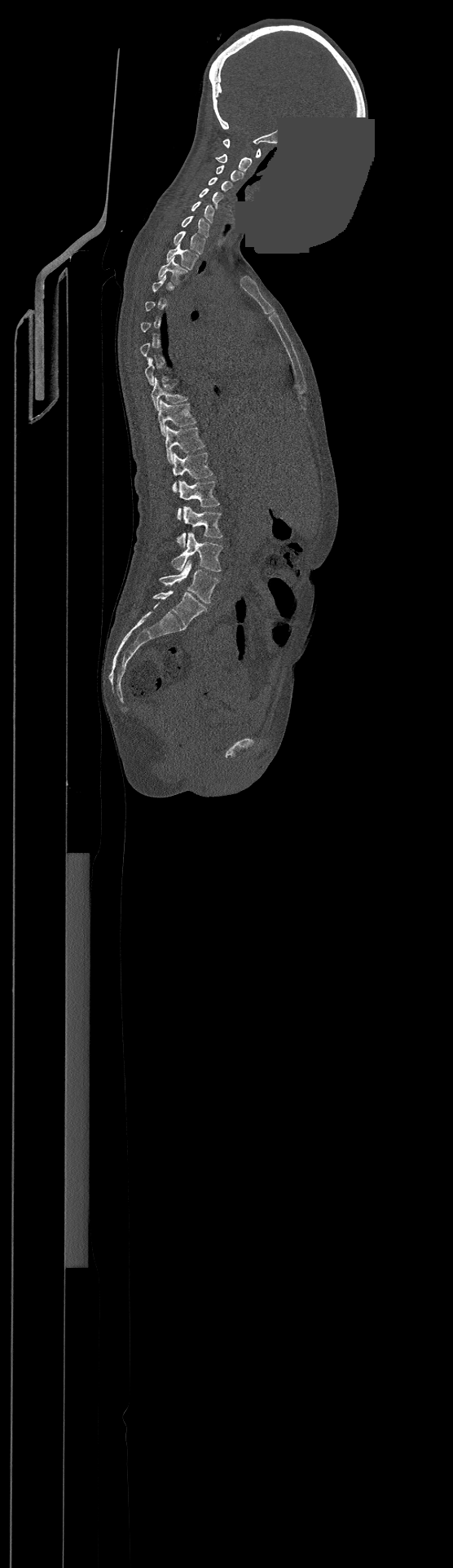 CT spine. sagittal view. bone window. some of the image was removed or blocked out with constant pixels
In the table, x1 and y1 are a box's top-left corner and x2 and y2 its bottom-right corner, in pixels.
A vertebra is boxed only from the first to the last slice where its cross-section is at least a third of its largest; slices outside that range leave it without a box.
Labels in this scan begin with C1 at the top and end with L4 at the bottom.
| vertebra | x1 | y1 | x2 | y2 |
|---|---|---|---|---|
| C1 | 222 | 139 | 260 | 157 |
| C2 | 216 | 154 | 252 | 171 |
| C3 | 217 | 166 | 243 | 181 |
| C4 | 209 | 177 | 231 | 191 |
| C5 | 199 | 188 | 223 | 207 |
| C6 | 191 | 201 | 214 | 223 |
| C7 | 181 | 215 | 209 | 237 |
| T1 | 174 | 231 | 205 | 254 |
| T2 | 166 | 244 | 197 | 269 |
| T3 | 158 | 258 | 187 | 284 |
| T9 | 152 | 378 | 187 | 409 |
| T10 | 157 | 400 | 196 | 435 |
| T11 | 165 | 426 | 204 | 462 |
| T12 | 173 | 453 | 213 | 492 |
| L1 | 178 | 481 | 219 | 519 |
| L2 | 177 | 506 | 222 | 547 |
| L3 | 172 | 532 | 222 | 572 |
| L4 | 159 | 560 | 218 | 603 |